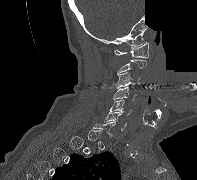 CT, spine. sagittal view. 197x180 px. part of the image has been replaced by a constant value
Bounding boxes as [x1, y1, x2, y2] in pixel coordinates.
A vertebra gets a box only on the slices from the first to the last where its cross-section is at least a third of its largest; on a slice outside that range it gets none.
Vertebra bounding boxes:
- C1: [114, 42, 149, 58]
- C3: [116, 72, 140, 88]
- C4: [112, 86, 136, 100]
- C5: [109, 99, 132, 115]
- C6: [104, 111, 126, 131]
- C7: [92, 121, 115, 137]